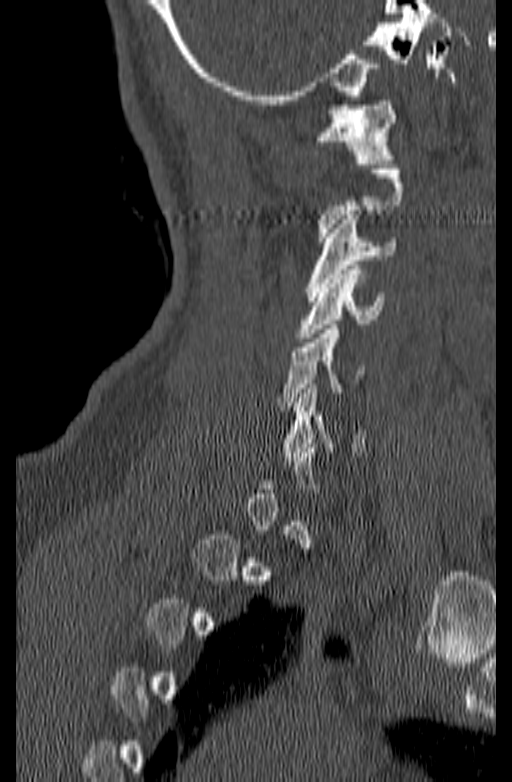
Spine computed tomography — sagittal view — bone window — 512x782 px — the image is 140 mm wide. Box edges are left/top/right/bottom in pixels.
A vertebra is boxed only from the first to the last slice where its cross-section is at least a third of its largest; slices outside that range leave it without a box.
Vertebra bounding boxes:
- C1: left=315, top=101, right=395, bottom=164
- C3: left=305, top=215, right=395, bottom=301
- C4: left=298, top=265, right=383, bottom=342
- C5: left=276, top=325, right=364, bottom=406
- C6: left=282, top=384, right=364, bottom=461